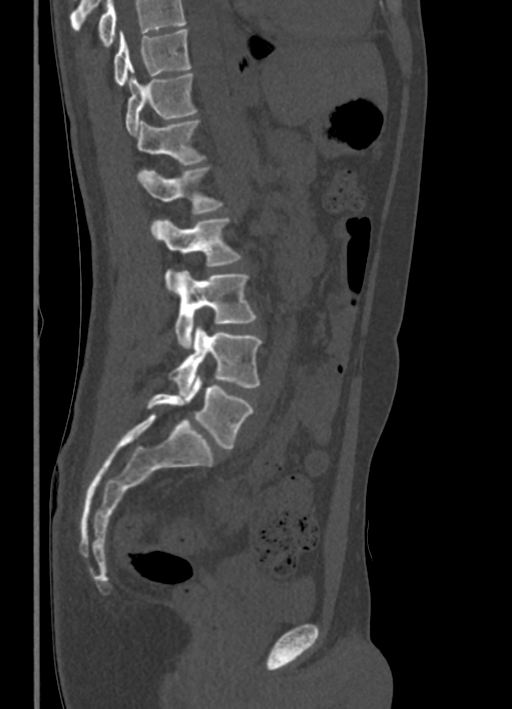
CT, spine; sagittal view; bone window
Boxes: x1:y1:x2:y2 in pixels. Vertebrae that run past the top of the scan are left unlabeled. Vertebrae labeled: T10 at 114:29:191:86, T11 at 126:73:195:134, T12 at 135:121:205:172, L1 at 137:167:221:214, L2 at 150:218:241:288, L3 at 174:270:256:348, L4 at 169:326:261:395, L5 at 148:374:253:449.